CT spine — sagittal plane, index 340 — W/L 1800/400 HU — 11 vertebrae labeled in this scan
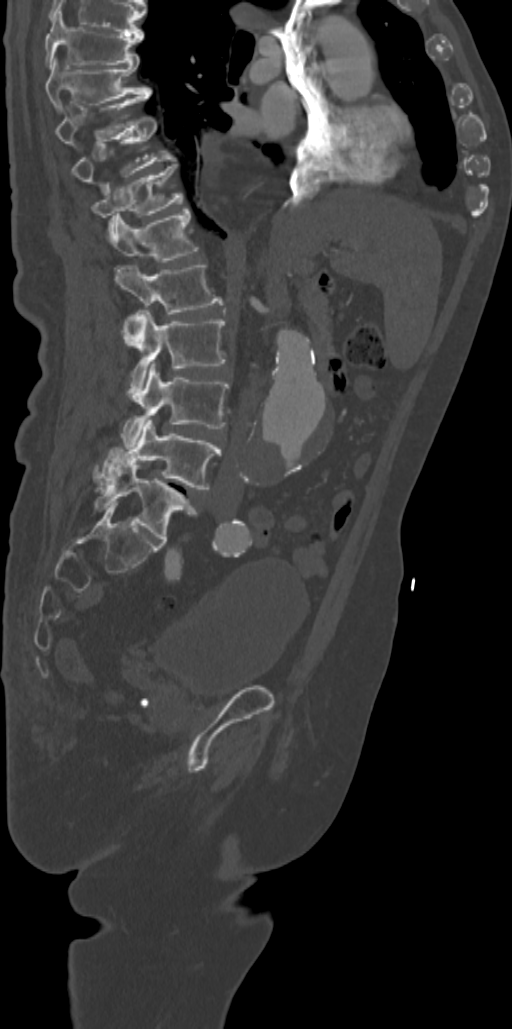 <vertebrae><v name="L5" x1="94" y1="449" x2="196" y2="543"/><v name="L4" x1="94" y1="420" x2="220" y2="489"/><v name="L3" x1="121" y1="364" x2="229" y2="448"/><v name="L2" x1="124" y1="310" x2="225" y2="399"/><v name="L1" x1="115" y1="265" x2="223" y2="345"/><v name="T12" x1="108" y1="207" x2="199" y2="262"/><v name="T11" x1="91" y1="164" x2="183" y2="242"/><v name="T10" x1="72" y1="117" x2="176" y2="194"/><v name="T9" x1="55" y1="94" x2="149" y2="147"/><v name="T8" x1="45" y1="56" x2="151" y2="111"/><v name="T7" x1="45" y1="11" x2="144" y2="66"/></vertebrae>